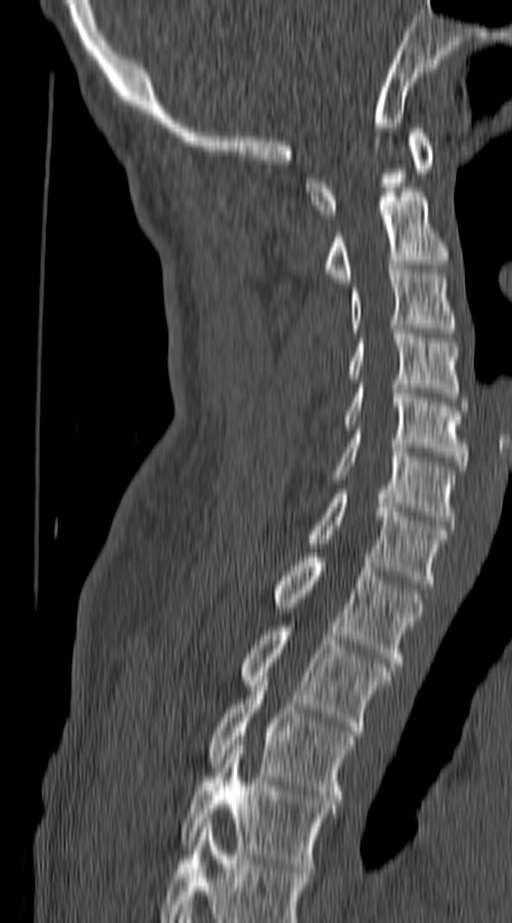

CT · sagittal view · 512x923 px
Boxes: x1:y1:x2:y2 in pixels. This scan's labels start at C1 at the top and end at T4 at the bottom. Vertebrae labeled: C1 at 305:128:432:218, C2 at 327:192:447:282, C3 at 350:270:454:333, C4 at 349:329:457:397, C5 at 345:384:468:470, C6 at 334:434:454:525, C7 at 309:494:447:584, T1 at 276:553:421:666, T2 at 243:626:392:730, T3 at 210:677:351:804, T4 at 181:745:333:872.